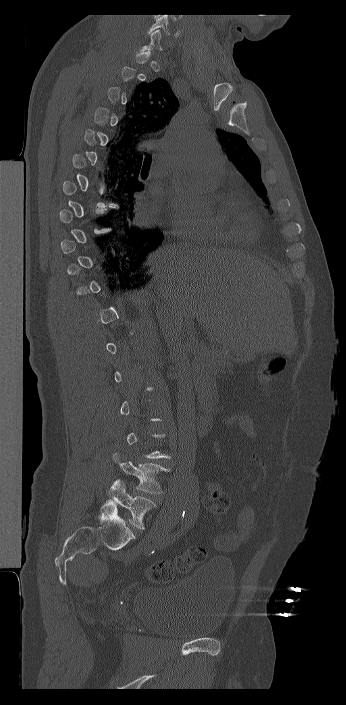
CT spine — sagittal reformat — bone-window reconstruction — 346x705 px
Each vertebra is boxed only on the slices from the first to the last where its cross-section reaches a third of its largest, so a slice outside that range leaves it unboxed.
In these labels the spine has an L6, a sixth lumbar vertebra below L5.
<vertebrae><v name="L5" x1="113" y1="453" x2="170" y2="493"/><v name="L6" x1="102" y1="479" x2="156" y2="529"/></vertebrae>